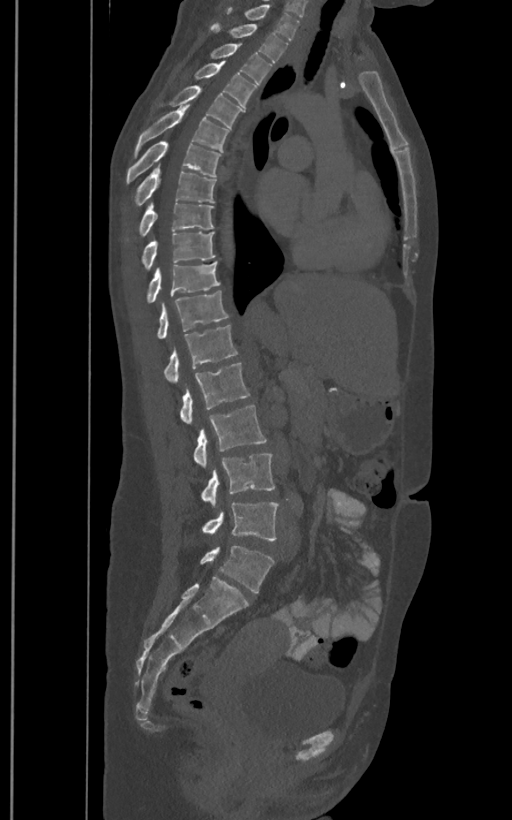
Computed tomography of the spine · sagittal view · Bone window (WL 400, WW 1800)
In the table, x1 and y1 are a box's top-left corner and x2 and y2 its bottom-right corner, in pixels.
These labels give the spine a sixth lumbar vertebra, L6, below L5.
| vertebra | x1 | y1 | x2 | y2 |
|---|---|---|---|---|
| T1 | 225 | 5 | 300 | 39 |
| T2 | 210 | 22 | 288 | 62 |
| T3 | 210 | 44 | 271 | 85 |
| T4 | 193 | 61 | 256 | 107 |
| T5 | 159 | 85 | 242 | 127 |
| T6 | 134 | 105 | 229 | 157 |
| T7 | 127 | 141 | 220 | 183 |
| T8 | 136 | 165 | 215 | 205 |
| T9 | 139 | 202 | 214 | 235 |
| T10 | 142 | 232 | 215 | 269 |
| T11 | 147 | 262 | 219 | 302 |
| T12 | 157 | 290 | 228 | 338 |
| L1 | 164 | 325 | 237 | 384 |
| L2 | 180 | 362 | 250 | 425 |
| L3 | 193 | 406 | 266 | 469 |
| L4 | 201 | 453 | 274 | 507 |
| L5 | 202 | 501 | 279 | 540 |
| L6 | 200 | 545 | 274 | 592 |